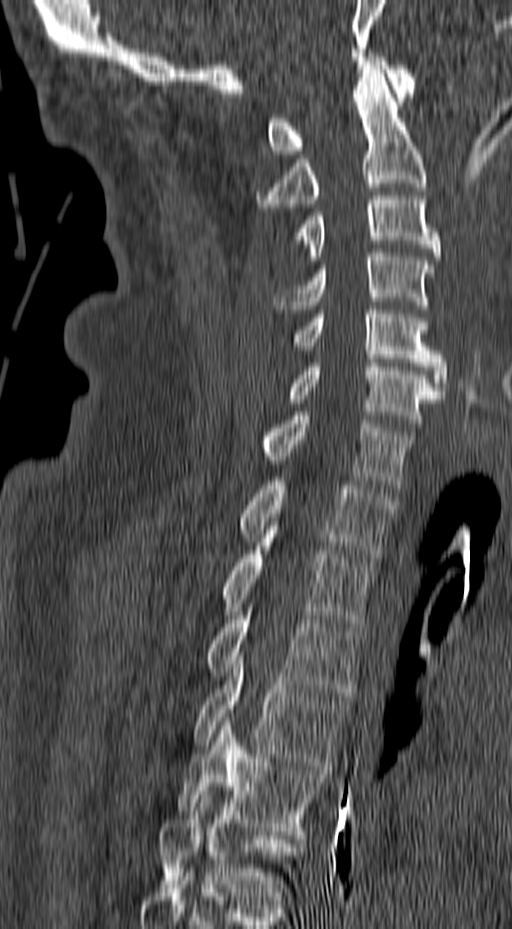 CT spine; sagittal view; W/L 1800/400 HU; 512x929 px; 157 mm image width
Bounding boxes as [x1, y1, x2, y2] in pixel coordinates. Vertebrae labeled: C1 at [266, 53, 416, 154], C2 at [255, 65, 427, 207], C3 at [294, 196, 440, 260], C4 at [273, 253, 435, 309], C5 at [293, 306, 448, 394], C6 at [287, 359, 443, 427], C7 at [262, 412, 414, 488], T1 at [239, 481, 395, 557], T2 at [220, 542, 375, 627], T3 at [207, 607, 362, 696], T4 at [193, 652, 349, 769], T5 at [176, 717, 323, 835], T6 at [158, 791, 303, 904].